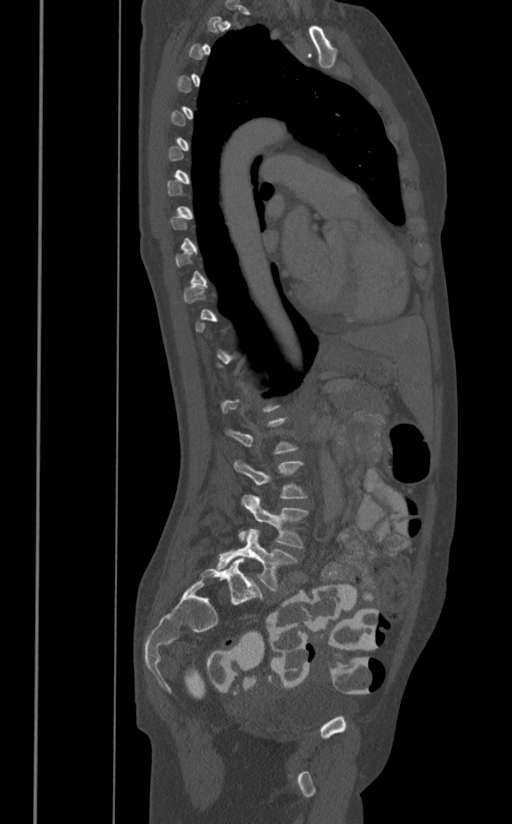
CT — sagittal view — Bone window (WL 400, WW 1800) — 391 mm across the image

Boxes: x1:y1:x2:y2 in pixels. Each vertebra is boxed only on the slices from the first to the last where its cross-section reaches a third of its largest, so a slice outside that range leaves it unboxed. The labeled vertebrae in this slice are: L3 at 234:458:308:498, L4 at 238:495:308:548, L5 at 217:529:297:591.